Spine CT · sagittal plane, index 301 · 768x1218 px
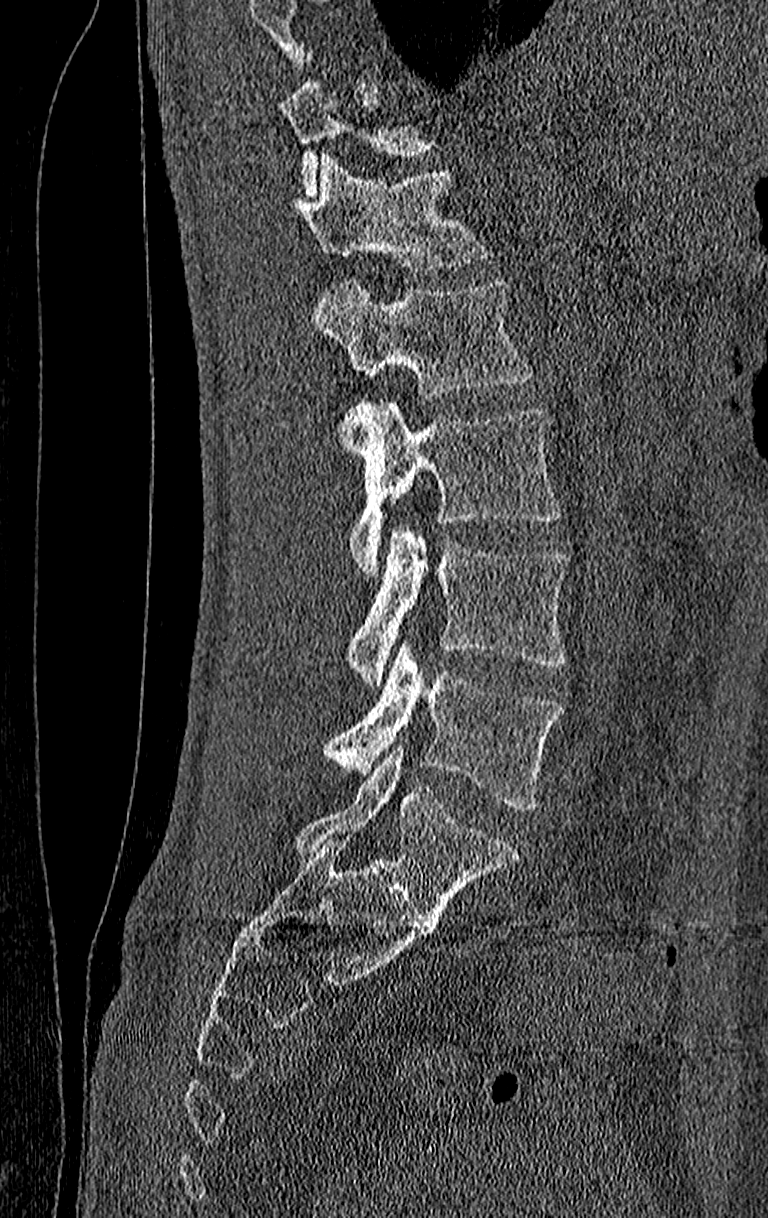 Coordinates as <box>x1,y1,x2,y2</box>.
A vertebra cut off by the top edge of the scan is not labeled and has no box.
This scan's labels start at T11 at the top and end at L4 at the bottom.
Vertebra bounding boxes:
- L4: <box>320,643,565,812</box>
- L3: <box>346,528,572,684</box>
- L2: <box>346,403,565,573</box>
- L1: <box>313,278,532,399</box>
- T12: <box>302,155,495,274</box>
- T11: <box>280,53,444,193</box>